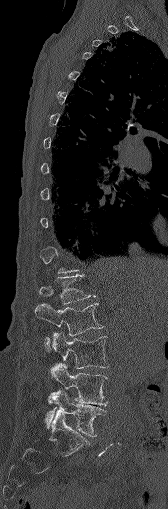 Spine CT. sagittal view. bone window
Box edges are left/top/right/bottom in pixels.
Each vertebra is boxed only on the slices from the first to the last where its cross-section reaches a third of its largest, so a slice outside that range leaves it unboxed.
L1: left=39, top=275, right=90, bottom=304
L2: left=35, top=303, right=102, bottom=351
L3: left=52, top=332, right=108, bottom=368
L4: left=50, top=362, right=107, bottom=405
L5: left=44, top=390, right=104, bottom=436